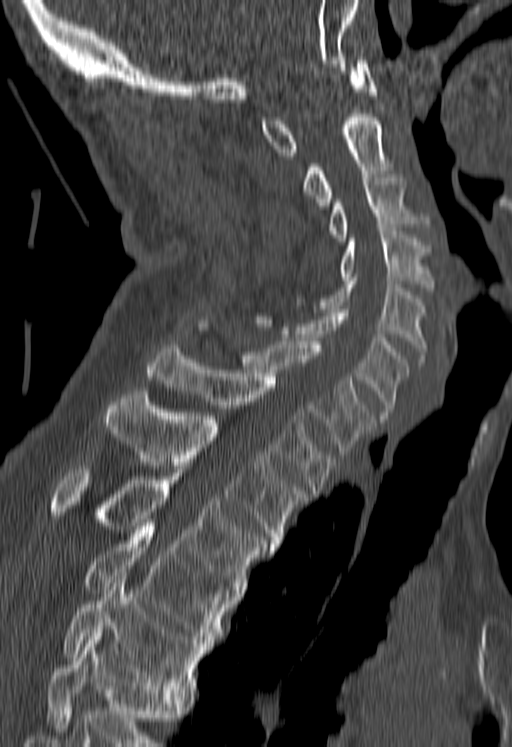
Spine computed tomography — sagittal view — the image is 180 mm wide — bone-window reconstruction

Each vertebra maps to its box as [x1, y1, x2, y2], the pixel coordinates of its top-left and bottom-right corners.
Where the bottom of the scan cuts through a vertebra, that vertebra gets no label or box.
{"vertebrae":{"C1":[261,60,376,155],"C2":[302,114,390,209],"C3":[328,174,429,241],"C4":[339,228,432,291],"C5":[295,277,427,362],"C6":[256,309,407,419],"C7":[199,320,373,454],"T1":[146,345,336,493],"T2":[103,391,307,547],"T3":[49,466,270,596],"T4":[83,523,230,643],"T5":[63,572,208,696]}}